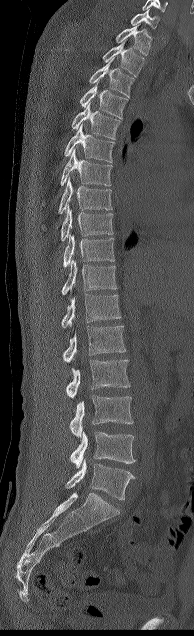
CT, spine — sagittal view — image 194 mm wide — bone-window reconstruction — 194x636 px
Box edges are left/top/right/bottom in pixels.
| vertebra | x1 | y1 | x2 | y2 |
|---|---|---|---|---|
| C7 | 130 | 9 | 159 | 29 |
| T1 | 116 | 24 | 151 | 55 |
| T2 | 102 | 39 | 143 | 77 |
| T3 | 89 | 60 | 134 | 97 |
| T4 | 80 | 83 | 128 | 118 |
| T5 | 72 | 103 | 120 | 139 |
| T6 | 64 | 124 | 114 | 162 |
| T7 | 60 | 149 | 112 | 186 |
| T8 | 58 | 177 | 111 | 213 |
| T9 | 61 | 207 | 113 | 241 |
| T10 | 63 | 234 | 114 | 267 |
| T11 | 61 | 260 | 117 | 295 |
| T12 | 61 | 294 | 121 | 328 |
| L1 | 63 | 325 | 126 | 362 |
| L2 | 66 | 359 | 130 | 398 |
| L3 | 69 | 395 | 133 | 437 |
| L4 | 70 | 430 | 135 | 468 |
| L5 | 66 | 458 | 134 | 500 |